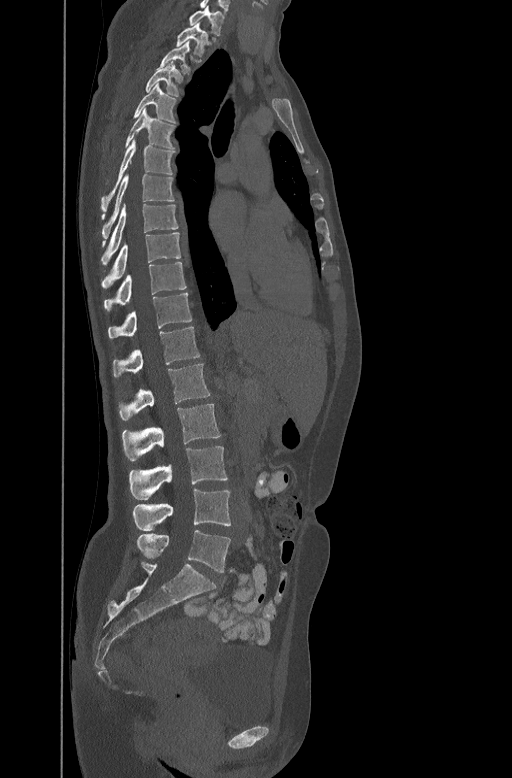
CT, spine. sagittal reformat
Box edges are left/top/right/bottom in pixels.
C7: left=188, top=8, right=225, bottom=35
T1: left=176, top=25, right=211, bottom=54
T2: left=158, top=41, right=191, bottom=73
T3: left=144, top=60, right=182, bottom=95
T4: left=133, top=84, right=176, bottom=123
T5: left=125, top=108, right=175, bottom=147
T6: left=101, top=140, right=175, bottom=210
T7: left=102, top=172, right=174, bottom=238
T8: left=101, top=203, right=178, bottom=263
T9: left=102, top=231, right=180, bottom=286
T10: left=104, top=261, right=186, bottom=309
T11: left=108, top=292, right=191, bottom=336
T12: left=113, top=326, right=199, bottom=375
L1: left=119, top=363, right=210, bottom=419
L2: left=122, top=404, right=221, bottom=460
L3: left=129, top=446, right=227, bottom=499
L4: left=133, top=489, right=230, bottom=531
L5: left=136, top=530, right=230, bottom=572